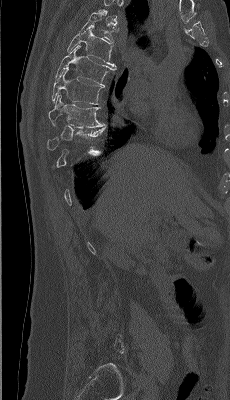
Computed tomography of the spine · sagittal reformat · bone-window reconstruction

Box edges are left/top/right/bottom in pixels.
Each vertebra is boxed only on the slices from the first to the last where its cross-section reaches a third of its largest, so a slice outside that range leaves it unboxed.
In this scan, the topmost labeled vertebra is T4 and the lowest is L5.
Vertebra bounding boxes:
- T8: left=48, top=94, right=104, bottom=127
- T7: left=52, top=68, right=104, bottom=104
- T6: left=55, top=44, right=117, bottom=86
- T5: left=67, top=26, right=116, bottom=67
- T4: left=80, top=10, right=115, bottom=42